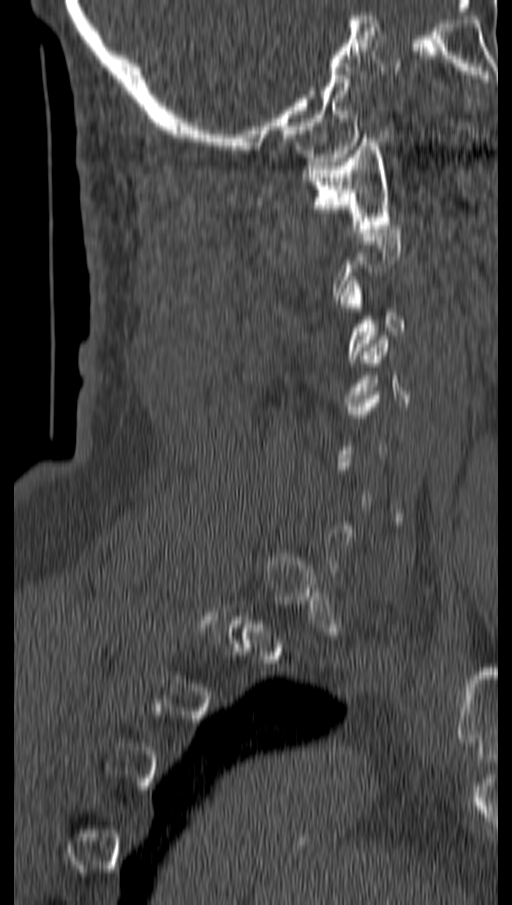 Spine CT · sagittal reformat

Each box given as x1,y1,x2,y2.
A vertebra gets a box only on the slices from the first to the last where its cross-section is at least a third of its largest; on a slice outside that range it gets none.
Vertebra bounding boxes:
- C1: x1=302, y1=138, x2=392, y2=232
- C3: x1=340, y1=280, x2=405, y2=362